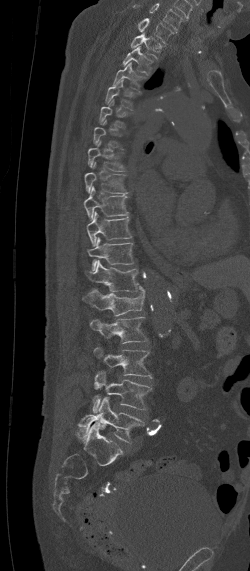
Spine CT; sagittal view; bone-window reconstruction. Each row gives a vertebra's box as x1, y1, x2, y2 in pixels: top-left corner, then bottom-right corner.
A vertebra gets a box only on the slices from the first to the last where its cross-section is at least a third of its largest; on a slice outside that range it gets none.
In this scan, the topmost labeled vertebra is C7 and the lowest is L5.
| vertebra | x1 | y1 | x2 | y2 |
|---|---|---|---|---|
| L5 | 75 | 397 | 145 | 442 |
| L4 | 92 | 370 | 151 | 413 |
| L3 | 93 | 347 | 151 | 378 |
| L2 | 90 | 316 | 147 | 343 |
| L1 | 82 | 286 | 145 | 315 |
| T12 | 84 | 260 | 138 | 292 |
| T11 | 87 | 237 | 133 | 270 |
| T10 | 87 | 212 | 131 | 246 |
| T9 | 84 | 187 | 127 | 218 |
| T8 | 84 | 163 | 127 | 193 |
| T7 | 88 | 141 | 128 | 171 |
| T5 | 99 | 99 | 128 | 129 |
| T4 | 105 | 79 | 134 | 110 |
| T3 | 113 | 63 | 146 | 93 |
| T2 | 122 | 46 | 154 | 75 |
| T1 | 130 | 32 | 165 | 60 |
| C7 | 138 | 18 | 174 | 44 |